CT spine · Sagittal slice 196/512
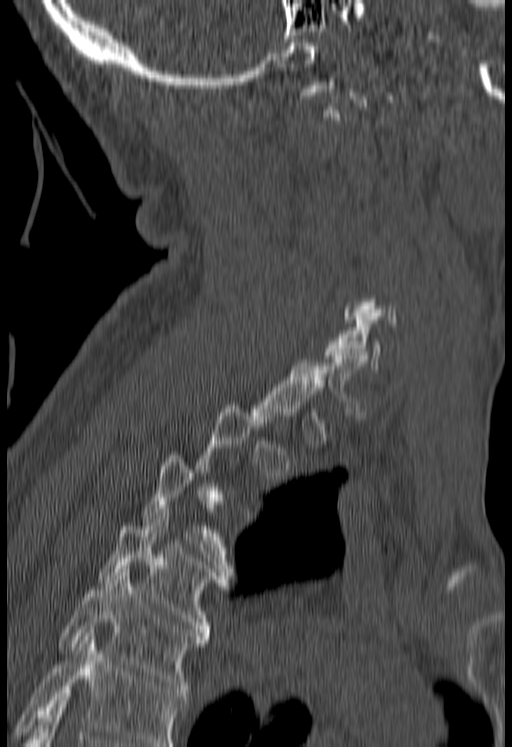
Each box given as x1,y1,x2,y2.
A vertebra is boxed only from the first to the last slice where its cross-section is at least a third of its largest; slices outside that range leave it without a box.
Vertebrae that run past the bottom of the scan are left unlabeled.
| vertebra | x1 | y1 | x2 | y2 |
|---|---|---|---|---|
| T5 | 58 | 569 | 208 | 696 |
| T4 | 98 | 512 | 230 | 639 |
| C6 | 325 | 316 | 381 | 369 |